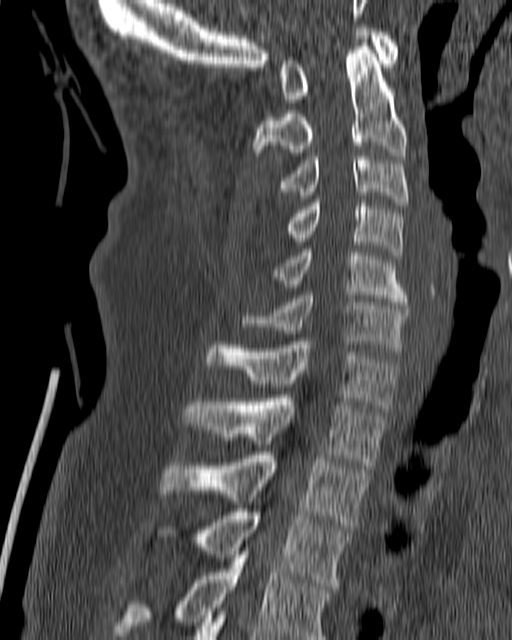

CT · sagittal reformat · the image is 180 mm wide. Box edges are left/top/right/bottom in pixels.
Vertebra bounding boxes:
- C1: left=279, top=25, right=398, bottom=102
- C2: left=254, top=46, right=407, bottom=159
- C3: left=277, top=153, right=409, bottom=205
- C4: left=285, top=199, right=404, bottom=259
- C5: left=274, top=249, right=408, bottom=305
- C6: left=240, top=292, right=408, bottom=347
- C7: left=206, top=341, right=401, bottom=411
- T1: left=183, top=395, right=387, bottom=465
- T2: left=160, top=452, right=370, bottom=529
- T3: left=157, top=508, right=353, bottom=589
- T4: left=114, top=548, right=333, bottom=639